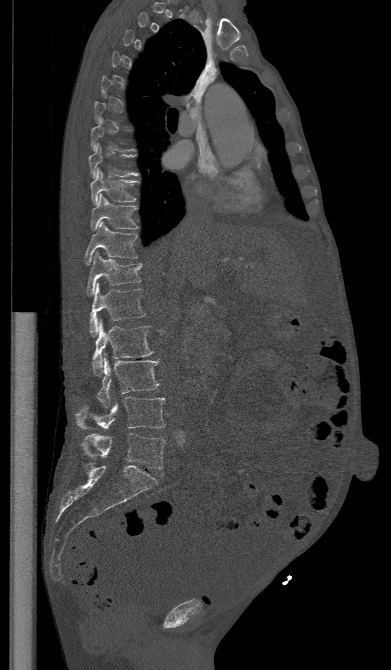 Spine computed tomography; sagittal view
Each vertebra is boxed only on the slices from the first to the last where its cross-section reaches a third of its largest, so a slice outside that range leaves it unboxed.
<vertebrae><v name="T8" x1="88" y1="144" x2="139" y2="177"/><v name="T9" x1="90" y1="169" x2="138" y2="204"/><v name="T10" x1="91" y1="194" x2="137" y2="230"/><v name="T11" x1="85" y1="221" x2="137" y2="265"/><v name="T12" x1="86" y1="251" x2="142" y2="295"/><v name="L1" x1="89" y1="283" x2="145" y2="336"/><v name="L2" x1="92" y1="320" x2="153" y2="375"/><v name="L3" x1="97" y1="356" x2="158" y2="409"/><v name="L4" x1="76" y1="397" x2="164" y2="429"/><v name="L5" x1="81" y1="433" x2="165" y2="468"/></vertebrae>